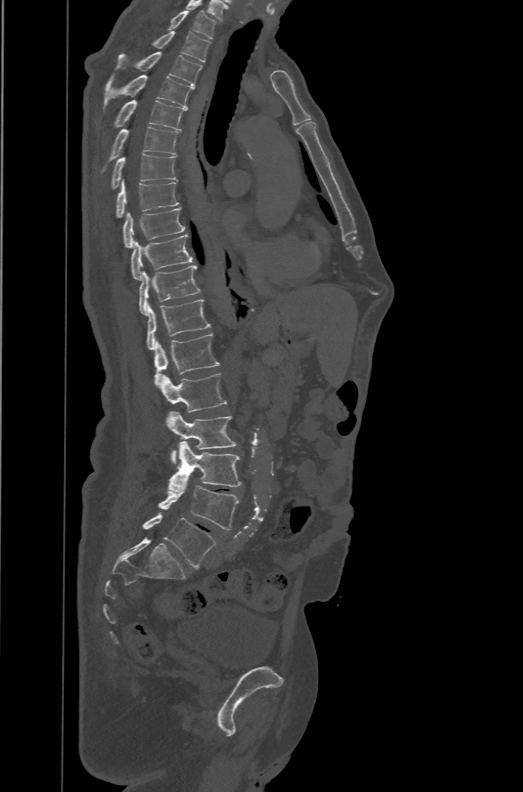

Spine computed tomography. sagittal reformat. the image spans 471 mm across. bone window
Columns x1, y1, x2, y2 give each box's top-left and bottom-right pixels.
These labels give the spine a sixth lumbar vertebra, L6, below L5.
| vertebra | x1 | y1 | x2 | y2 |
|---|---|---|---|---|
| L6 | 142 | 513 | 216 | 568 |
| L5 | 157 | 485 | 239 | 530 |
| L4 | 168 | 441 | 241 | 492 |
| L3 | 167 | 411 | 237 | 463 |
| L2 | 160 | 373 | 227 | 412 |
| L1 | 154 | 333 | 220 | 387 |
| T12 | 146 | 299 | 212 | 350 |
| T11 | 139 | 265 | 200 | 315 |
| T10 | 130 | 234 | 192 | 280 |
| T9 | 123 | 207 | 185 | 248 |
| T8 | 116 | 179 | 179 | 218 |
| T7 | 111 | 154 | 177 | 190 |
| T6 | 100 | 126 | 179 | 173 |
| T5 | 113 | 100 | 186 | 130 |
| T4 | 102 | 75 | 193 | 112 |
| T3 | 114 | 52 | 201 | 86 |
| T2 | 151 | 31 | 210 | 62 |
| T1 | 166 | 9 | 217 | 39 |